Computed tomography of the spine; sagittal view; bone window; 512x1105 px
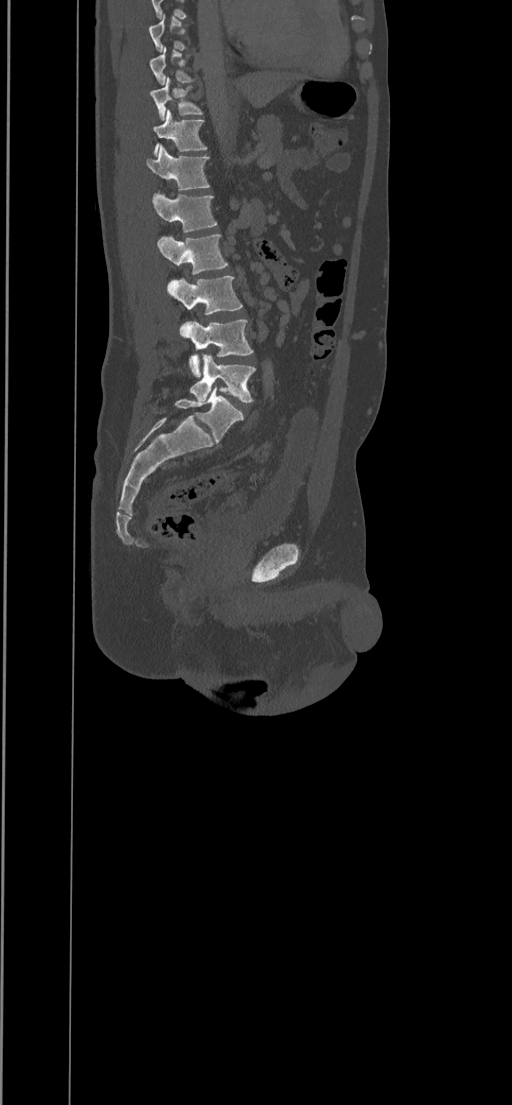

Box edges are left/top/right/bottom in pixels.
A vertebra gets a box only on the slices from the first to the last where its cross-section is at least a third of its largest; on a slice outside that range it gets none.
T9: left=149, top=47, right=195, bottom=85
T10: left=150, top=76, right=203, bottom=120
T11: left=153, top=109, right=208, bottom=156
T12: left=146, top=144, right=210, bottom=190
L1: left=152, top=193, right=217, bottom=232
L2: left=157, top=234, right=228, bottom=274
L3: left=167, top=276, right=242, bottom=314
L4: left=180, top=320, right=253, bottom=377
L5: left=190, top=355, right=255, bottom=402